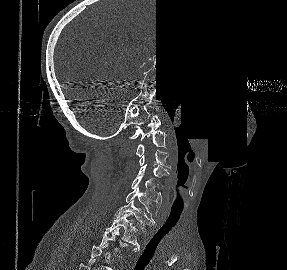 Spine CT · sagittal reformat · part of the scan has been removed (filled with constant black). Boxes: x1 y1 x2 y2 (pixel coords, space-separated).
Labels in this scan begin with C1 at the top and end with T2 at the bottom.
C1: 129 115 161 140
C2: 136 130 165 156
C3: 139 150 170 169
C4: 138 164 169 177
C5: 131 174 161 204
C6: 125 187 160 218
C7: 114 199 156 229
T1: 105 213 139 249
T2: 93 227 139 258